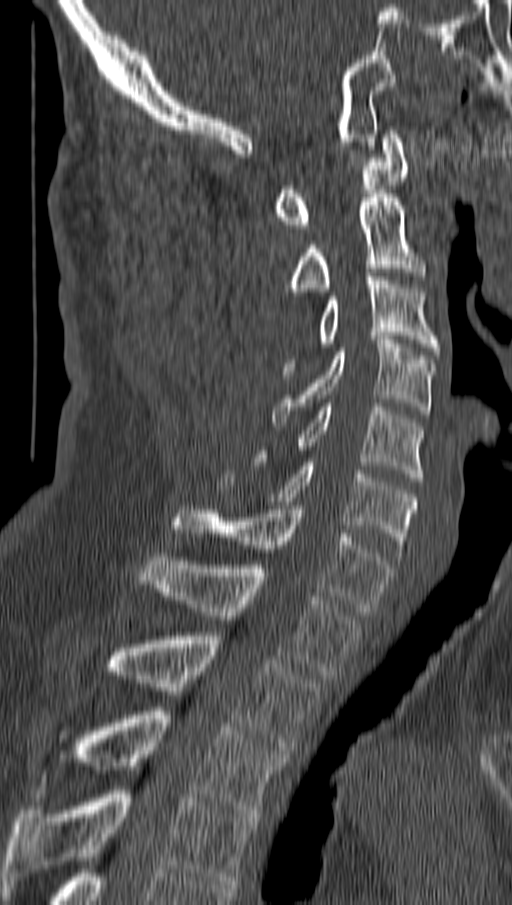

CT; sagittal view; bone window; 512x905 px
Each row gives a vertebra's box as x1, y1, x2, y2 in pixels: top-left corner, then bottom-right corner.
| vertebra | x1 | y1 | x2 | y2 |
|---|---|---|---|---|
| C1 | 273 | 130 | 409 | 228 |
| C2 | 289 | 194 | 424 | 295 |
| C3 | 283 | 273 | 439 | 374 |
| C4 | 273 | 336 | 436 | 426 |
| C5 | 257 | 403 | 424 | 481 |
| C6 | 218 | 462 | 417 | 552 |
| C7 | 175 | 506 | 392 | 611 |
| T1 | 140 | 553 | 360 | 679 |
| T2 | 105 | 632 | 319 | 754 |
| T3 | 71 | 707 | 285 | 817 |
| T4 | 4 | 786 | 256 | 888 |